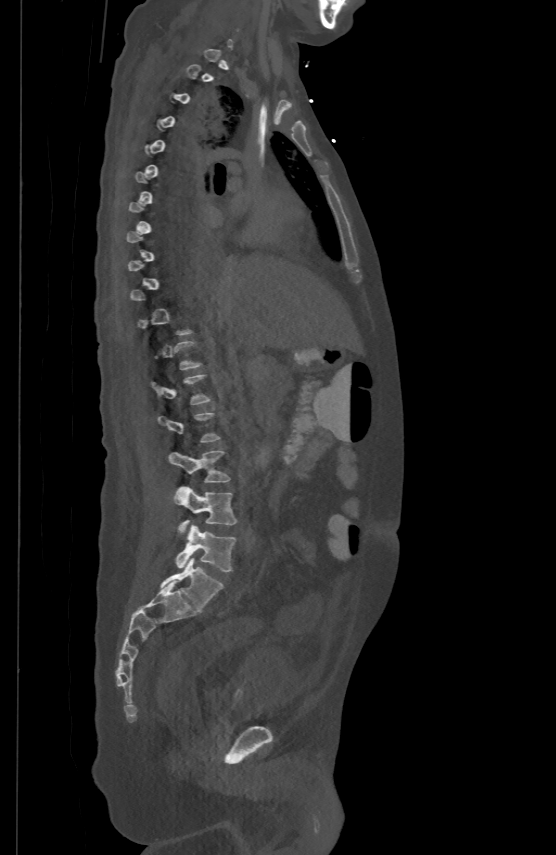
Spine CT. sagittal view
Each box given as x1,y1,x2,y2.
A vertebra gets a box only on the slices from the first to the last where its cross-section is at least a third of its largest; on a slice outside that range it gets none.
L5: x1=176, y1=524, x2=236, y2=571
L4: x1=174, y1=486, x2=237, y2=534
L3: x1=169, y1=450, x2=230, y2=482